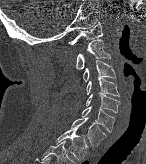
CT, spine · sagittal reformat · 146x164 px · the image spans 146 mm across

Box values are [left, top, right, bottom] in pixels.
{"vertebrae":{"T1":[55,127,87,161],"C7":[71,117,106,146],"C6":[81,106,114,131],"C5":[85,93,119,112],"C4":[86,76,119,96],"C3":[83,60,116,81],"C2":[76,39,111,69],"C1":[68,22,102,45]}}